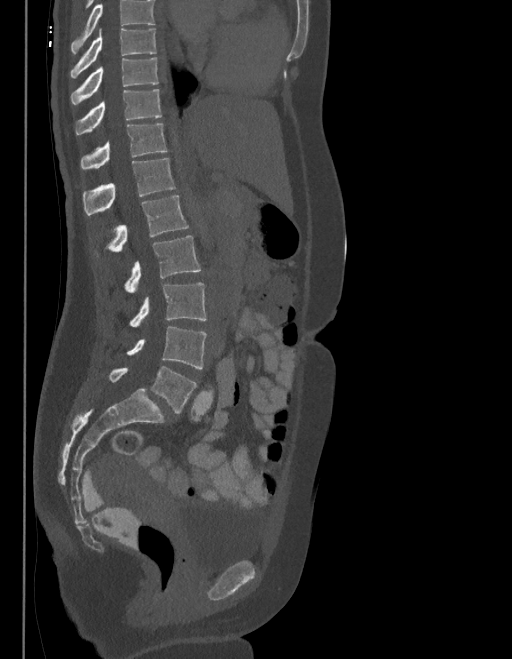
CT; 403 mm wide; sagittal reformat; bone window; 512x659 px

Vertebrae that run past the top of the scan are left unlabeled.
The labels name a sixth lumbar vertebra for this spine: L6, after L5.
<vertebrae><v name="L6" x1="109" y1="367" x2="196" y2="413"/><v name="L5" x1="127" y1="326" x2="206" y2="369"/><v name="L4" x1="129" y1="282" x2="206" y2="327"/><v name="L3" x1="124" y1="236" x2="200" y2="292"/><v name="L2" x1="105" y1="196" x2="188" y2="252"/><v name="L1" x1="82" y1="158" x2="174" y2="214"/><v name="T12" x1="81" y1="122" x2="167" y2="168"/><v name="T11" x1="76" y1="89" x2="161" y2="134"/><v name="T10" x1="71" y1="58" x2="158" y2="104"/><v name="T9" x1="71" y1="29" x2="156" y2="78"/></vertebrae>